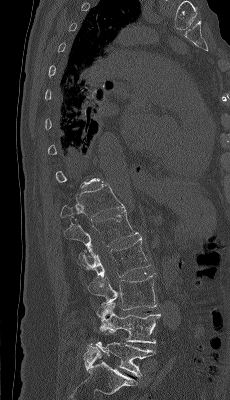
CT · sagittal view · 230x400 px
Boxes: x1 y1 x2 y2 (pixel coords, space-separated).
A vertebra is boxed only from the first to the last slice where its cross-section is at least a third of its largest; slices outside that range leave it without a box.
Vertebra bounding boxes:
- T12: 60 183 125 220
- L1: 64 209 140 252
- L2: 77 236 151 277
- L3: 88 273 157 310
- L4: 96 302 161 343
- L5: 88 341 155 377